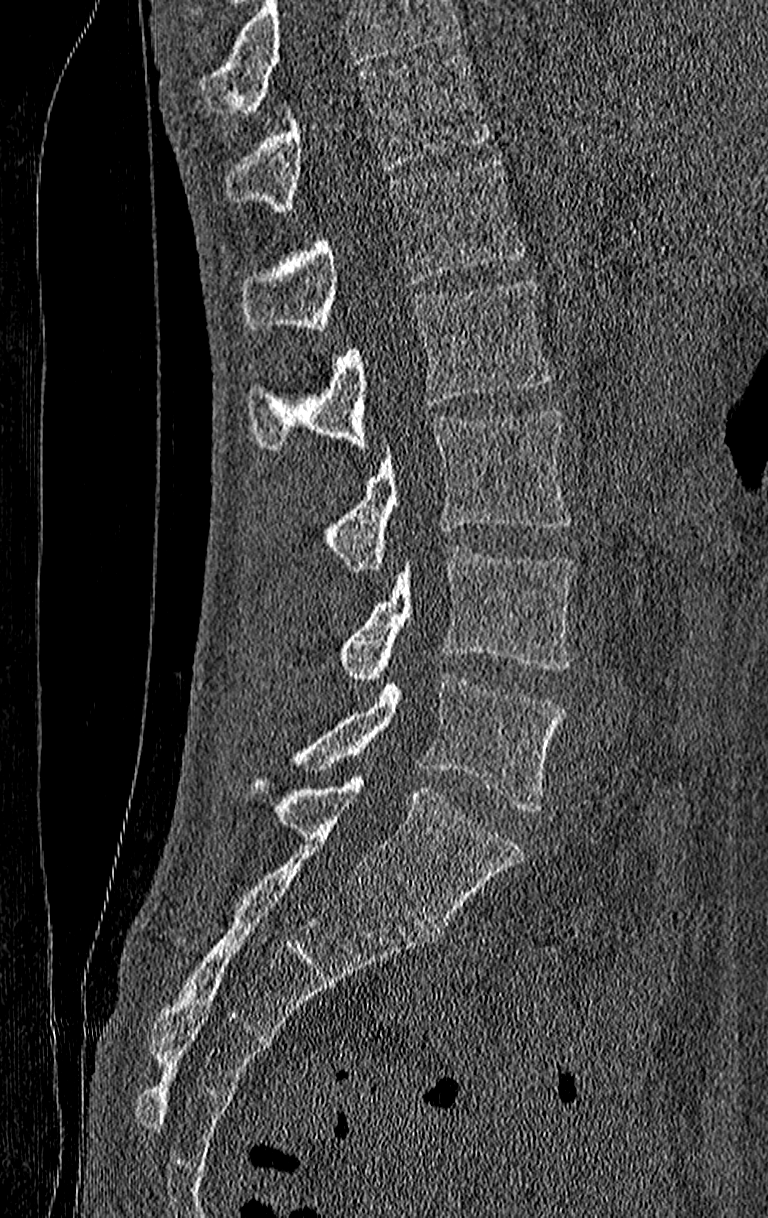

Computed tomography of the spine · sagittal view · W/L 1800/400 HU
Bounding boxes as [x1, y1, x2, y2] in pixel coordinates.
A vertebra cut off by the top edge of the scan is not labeled and has no box.
In this scan, the topmost labeled vertebra is T11 and the lowest is L4.
T11: [225, 53, 488, 211]
T12: [244, 158, 524, 333]
L1: [247, 278, 550, 453]
L2: [320, 410, 575, 570]
L3: [339, 546, 575, 680]
L4: [288, 673, 565, 812]